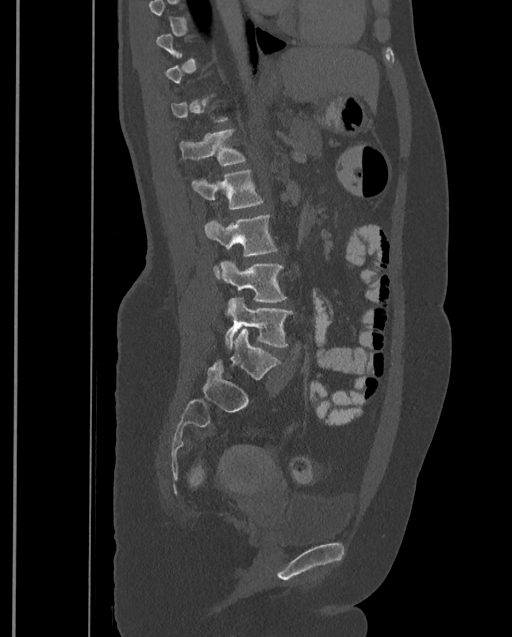

CT, spine. image 399 mm wide. sagittal view
Box edges are left/top/right/bottom in pixels.
A vertebra gets a box only on the slices from the first to the last where its cross-section is at least a third of its largest; on a slice outside that range it gets none.
The highest labeled vertebra in this scan is T9; the lowest is L4.
T12: left=178, top=129, right=245, bottom=165
L1: left=192, top=170, right=263, bottom=209
L2: left=205, top=216, right=276, bottom=278
L3: left=219, top=261, right=286, bottom=302
L4: left=224, top=298, right=293, bottom=348